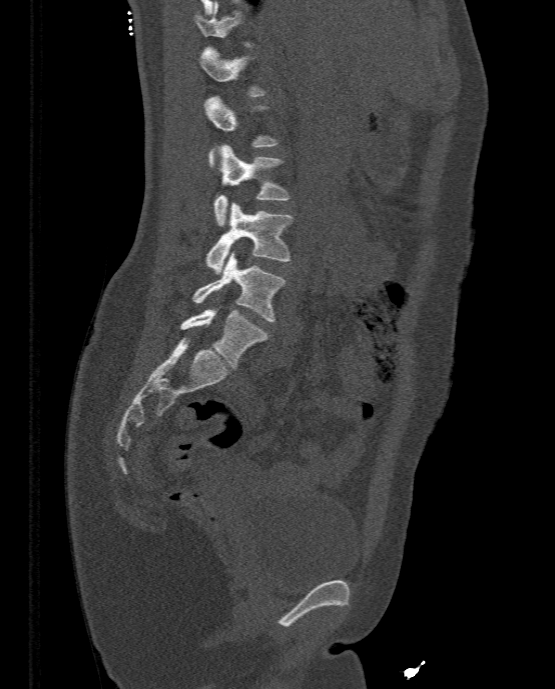
Spine computed tomography; sagittal view
Each vertebra maps to its box as [x1, y1, x2, y2], the pixel coordinates of its top-left and bottom-right corners.
A vertebra gets a box only on the slices from the first to the last where its cross-section is at least a third of its largest; on a slice outside that range it gets none.
{"vertebrae":{"L5":[180,307,269,368],"L4":[192,252,285,321],"L3":[205,202,292,273],"L2":[214,144,291,226],"L1":[205,96,279,167],"T12":[201,46,267,96]}}